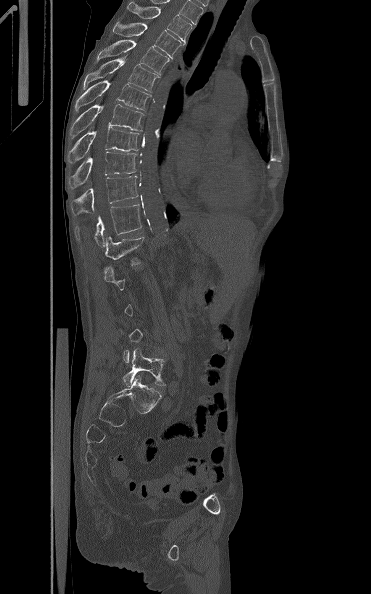
Spine computed tomography; sagittal view; 371x594 px; 371 mm across the image

Bounding boxes as [x1, y1, x2, y2] in pixel coordinates.
A vertebra gets a box only on the slices from the first to the last where its cross-section is at least a third of its largest; on a slice outside that range it gets none.
T3: [127, 1, 191, 43]
T4: [112, 21, 185, 58]
T5: [96, 40, 170, 74]
T6: [84, 55, 159, 92]
T7: [75, 80, 151, 110]
T8: [70, 104, 143, 136]
T9: [67, 127, 140, 163]
T10: [69, 151, 137, 189]
T11: [69, 176, 138, 215]
T12: [75, 204, 142, 246]
L1: [105, 229, 152, 265]
L5: [123, 349, 166, 386]